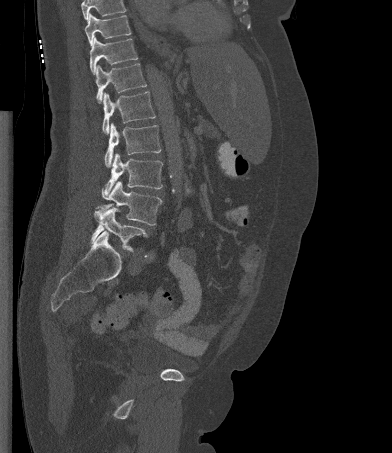 Spine computed tomography. sagittal reformat. 392 mm image width. 392x453 px. Each box given as x1,y1,x2,y2.
A vertebra cut off by the top edge of the scan is not labeled and has no box.
Vertebra bounding boxes:
- T10: x1=84, y1=13, x2=131, y2=45
- T11: x1=89, y1=36, x2=137, y2=74
- T12: x1=95, y1=63, x2=146, y2=102
- L1: x1=102, y1=91, x2=155, y2=134
- L2: x1=104, y1=123, x2=161, y2=167
- L3: x1=102, y1=153, x2=163, y2=199
- L4: x1=98, y1=181, x2=162, y2=225
- L5: x1=91, y1=208, x2=147, y2=251